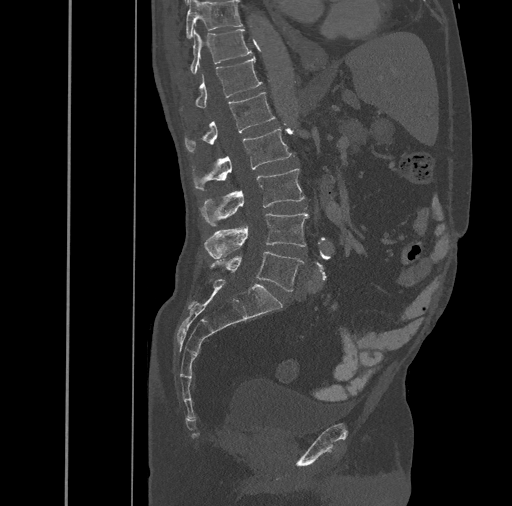
Spine CT. sagittal view

Box values are [left, top, right, bottom] in pixels.
{"vertebrae":{"L5":[210,252,303,291],"L4":[204,213,308,258],"L3":[200,168,304,226],"L2":[192,128,293,191],"L1":[184,92,275,152],"T12":[180,56,262,111],"T11":[190,28,252,74],"T10":[186,0,242,38]}}